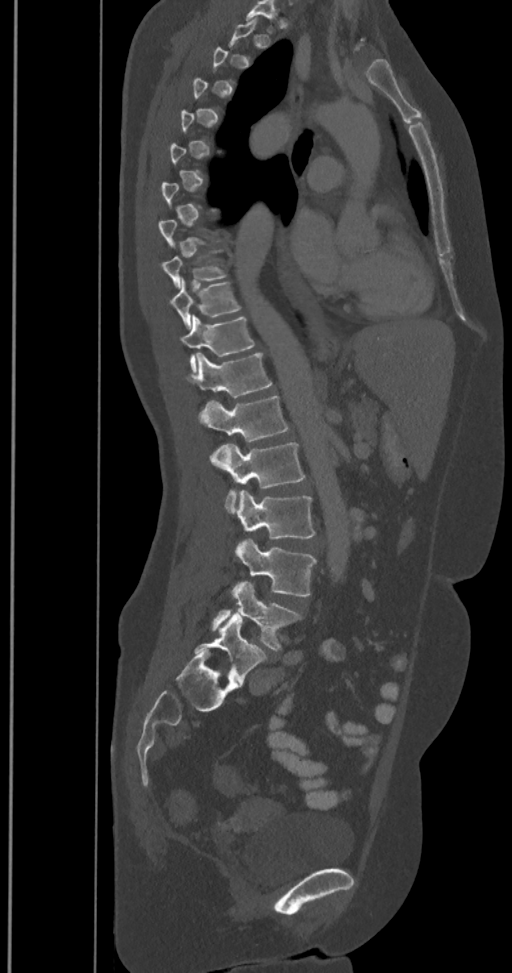

CT, spine. sagittal view. 512x973 px

Each vertebra is boxed only on the slices from the first to the last where its cross-section reaches a third of its largest, so a slice outside that range leaves it unboxed.
These labels give the spine a sixth lumbar vertebra, L6, below L5.
<vertebrae><v name="L6" x1="194" y1="614" x2="266" y2="684"/><v name="L5" x1="212" y1="581" x2="300" y2="651"/><v name="L4" x1="235" y1="538" x2="316" y2="597"/><v name="L3" x1="235" y1="490" x2="315" y2="539"/><v name="L2" x1="209" y1="442" x2="305" y2="512"/><v name="L1" x1="197" y1="395" x2="288" y2="441"/><v name="T12" x1="186" y1="353" x2="272" y2="397"/><v name="T11" x1="180" y1="315" x2="255" y2="373"/><v name="T10" x1="169" y1="279" x2="240" y2="327"/><v name="T9" x1="161" y1="250" x2="226" y2="287"/></vertebrae>